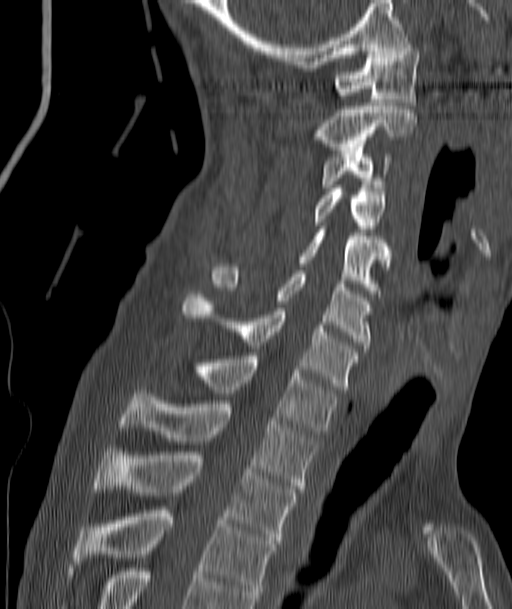

CT, spine; sagittal view
<vertebrae><v name="T4" x1="75" y1="510" x2="274" y2="601"/><v name="T3" x1="94" y1="452" x2="296" y2="543"/><v name="T2" x1="121" y1="390" x2="317" y2="492"/><v name="T1" x1="195" y1="356" x2="337" y2="434"/><v name="C7" x1="182" y1="294" x2="359" y2="389"/><v name="C6" x1="212" y1="267" x2="372" y2="348"/><v name="C5" x1="299" y1="229" x2="389" y2="293"/><v name="C4" x1="313" y1="188" x2="386" y2="232"/><v name="C3" x1="321" y1="147" x2="389" y2="187"/><v name="C2" x1="316" y1="103" x2="416" y2="150"/><v name="C1" x1="335" y1="44" x2="419" y2="105"/></vertebrae>